CT spine — 369 mm image width — sagittal reformat — scan covers 18 annotated vertebrae
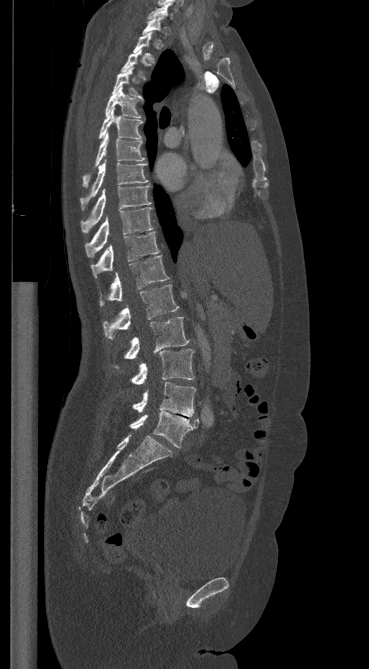
Each vertebra maps to its box as [x1, y1, x2, y2], the pixel coordinates of its top-left and bottom-right corners.
{"vertebrae":{"C7":[148,3,172,19],"T1":[142,17,163,40],"T2":[133,32,154,61],"T3":[121,50,143,77],"T4":[112,67,144,101],"T5":[105,87,140,117],"T6":[99,109,142,140],"T7":[83,133,144,186],"T8":[80,162,147,209],"T9":[81,186,150,232],"T10":[85,208,152,257],"T11":[91,232,159,277],"T12":[99,256,168,306],"L1":[103,285,178,338],"L2":[115,317,189,367],"L3":[131,349,194,384],"L4":[133,382,195,416],"L5":[129,411,198,448]}}